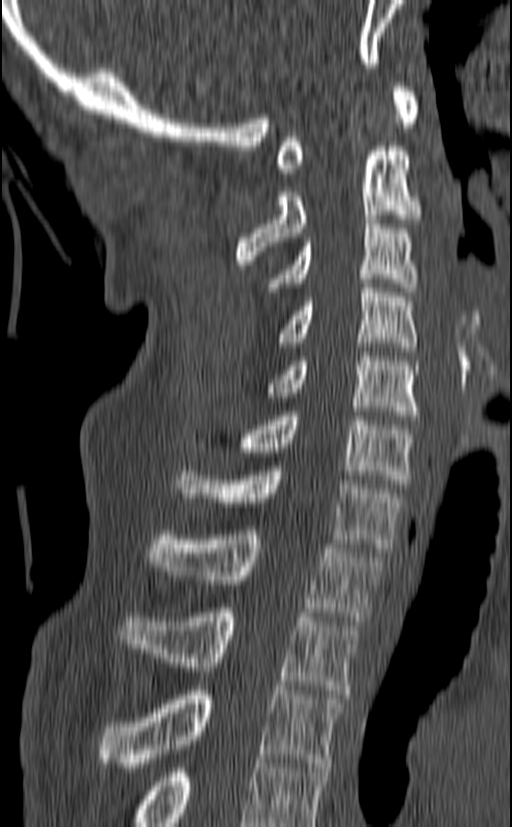
CT spine; sagittal view; bone-window reconstruction
In this scan, the topmost labeled vertebra is C1 and the lowest is T3.
<vertebrae><v name="C1" x1="276" y1="82" x2="421" y2="173"/><v name="C2" x1="235" y1="146" x2="422" y2="269"/><v name="C3" x1="267" y1="219" x2="417" y2="292"/><v name="C4" x1="279" y1="283" x2="417" y2="351"/><v name="C5" x1="267" y1="352" x2="421" y2="420"/><v name="C6" x1="195" y1="411" x2="414" y2="488"/><v name="C7" x1="177" y1="466" x2="403" y2="552"/><v name="T1" x1="148" y1="530" x2="381" y2="621"/><v name="T2" x1="118" y1="608" x2="359" y2="694"/><v name="T3" x1="96" y1="686" x2="344" y2="767"/></vertebrae>